CT spine · sagittal view · 512x705 px
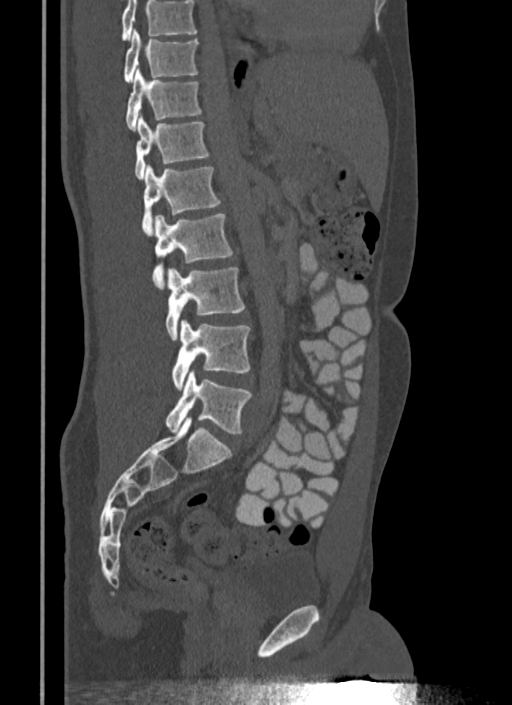

In the table, x1 and y1 are a box's top-left corner and x2 and y2 its bottom-right corner, in pixels.
No box is given to a vertebra that the top edge of the scan cuts off.
| vertebra | x1 | y1 | x2 | y2 |
|---|---|---|---|---|
| T10 | 123 | 29 | 198 | 83 |
| T11 | 126 | 68 | 201 | 130 |
| T12 | 135 | 114 | 210 | 178 |
| L1 | 141 | 164 | 220 | 235 |
| L2 | 152 | 214 | 232 | 288 |
| L3 | 165 | 267 | 244 | 339 |
| L4 | 171 | 321 | 250 | 389 |
| L5 | 165 | 370 | 252 | 433 |